CT, spine · 450 mm wide · sagittal plane, index 66
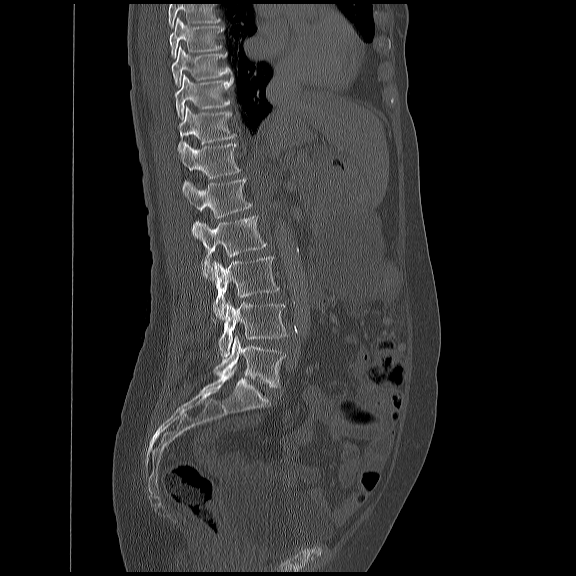 Where the top of the scan cuts through a vertebra, that vertebra gets no label or box.
<vertebrae><v name="L5" x1="212" y1="336" x2="284" y2="387"/><v name="L4" x1="217" y1="300" x2="286" y2="356"/><v name="L3" x1="212" y1="255" x2="277" y2="319"/><v name="L2" x1="192" y1="215" x2="266" y2="279"/><v name="L1" x1="183" y1="176" x2="251" y2="217"/><v name="T12" x1="179" y1="142" x2="239" y2="178"/><v name="T11" x1="176" y1="105" x2="235" y2="151"/><v name="T10" x1="174" y1="74" x2="231" y2="118"/><v name="T9" x1="171" y1="46" x2="231" y2="83"/><v name="T8" x1="169" y1="17" x2="222" y2="56"/></vertebrae>